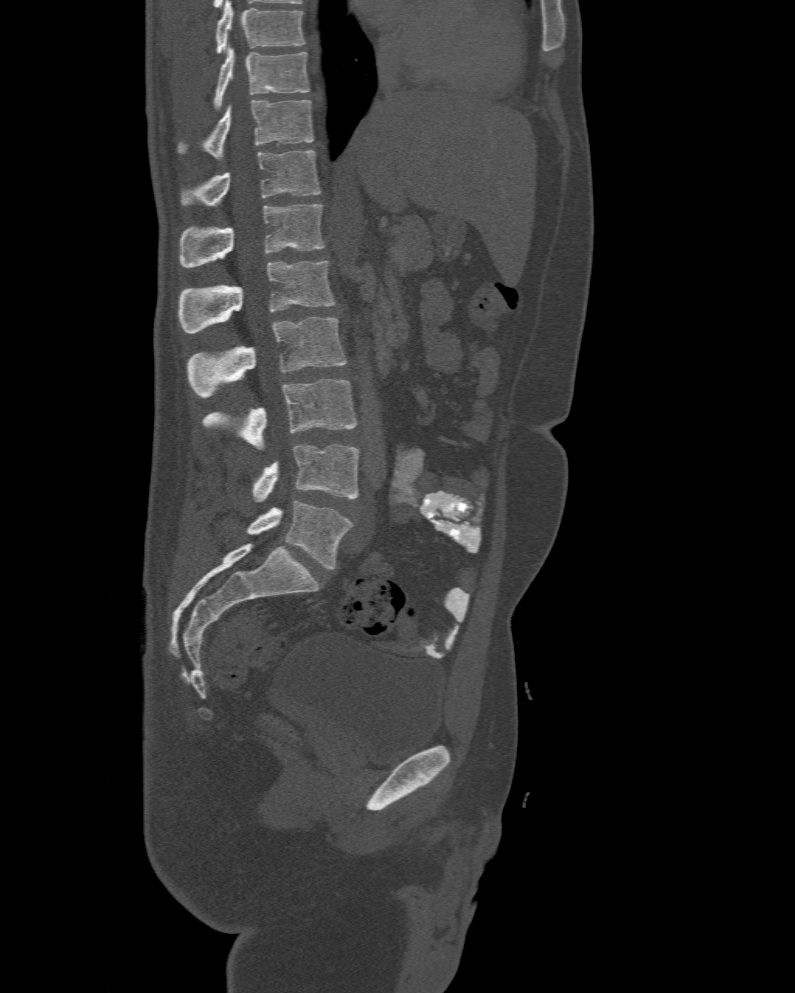
Computed tomography of the spine — sagittal view — W/L 1800/400 HU — 795x993 px. Boxes are (x1, y1, x2, y2) in pixels. The highest labeled vertebra in this scan is T10; the lowest is L6. The labels name a sixth lumbar vertebra for this spine: L6, after L5. 9 vertebrae labeled — T10 at (213, 45, 310, 107); T11 at (179, 100, 314, 161); T12 at (182, 150, 320, 206); L1 at (179, 203, 324, 267); L2 at (179, 260, 336, 332); L3 at (186, 317, 345, 397); L4 at (202, 378, 358, 447); L5 at (252, 445, 359, 501); L6 at (247, 500, 353, 569).